CT spine — 204 mm image width — Sagittal slice 78/204
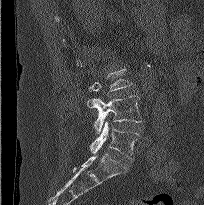

Each box given as x1,y1,x2,y2. Vertebrae labeled: L3 at x1=89, y1=69, x2=132, y2=107, L4 at x1=87, y1=95, x2=141, y2=133, L5 at x1=90, y1=121, x2=140, y2=160.